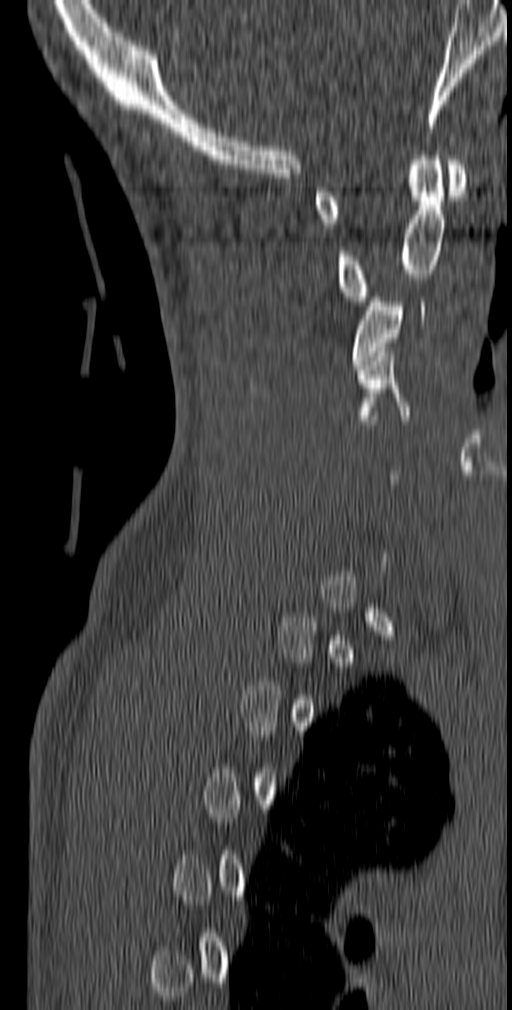

CT · sagittal view · bone window
Not every vertebra on this slice has a box: a vertebra is boxed only from the first to the last slice where its cross-section is at least a third of its largest, and this slice is outside that range for at least one of them.
<vertebrae><v name="C1" x1="313" y1="160" x2="467" y2="228"/><v name="C2" x1="337" y1="151" x2="445" y2="305"/><v name="C3" x1="351" y1="293" x2="425" y2="369"/><v name="C4" x1="356" y1="347" x2="409" y2="424"/></vertebrae>